Spine CT; image width 350 mm; sagittal view; scan covers 17 annotated vertebrae
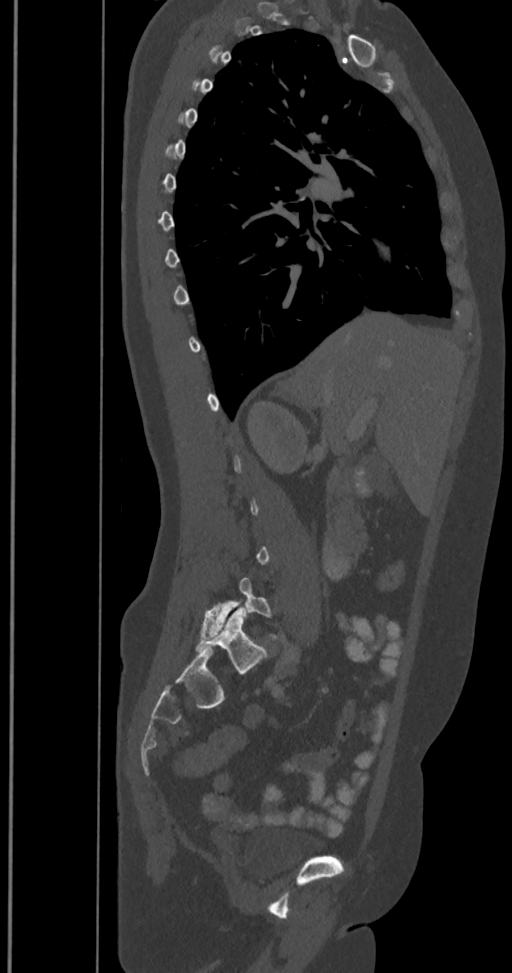

Not every vertebra on this slice has a box: a vertebra is boxed only from the first to the last slice where its cross-section is at least a third of its largest, and this slice is outside that range for at least one of them.
These labels give the spine a sixth lumbar vertebra, L6, below L5.
<vertebrae><v name="L6" x1="197" y1="607" x2="266" y2="673"/><v name="L5" x1="199" y1="578" x2="278" y2="639"/></vertebrae>